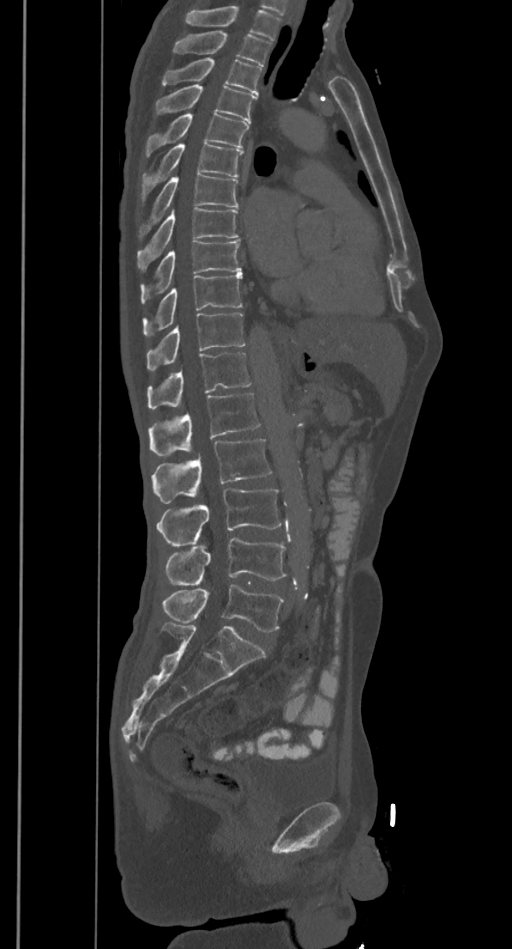 CT spine; sagittal view; bone window
Boxes: x1 y1 x2 y2 (pixel coords, space-separated). Vertebrae that run past the top of the scan are left unlabeled. 16 vertebrae labeled — T2 at 173 30 271 66; T3 at 162 59 261 95; T4 at 155 85 257 122; T5 at 146 113 248 156; T6 at 142 142 242 198; T7 at 139 174 238 237; T8 at 137 208 238 269; T9 at 141 241 241 303; T10 at 143 274 242 335; T11 at 146 312 245 370; T12 at 147 352 252 408; L1 at 149 394 259 456; L2 at 151 438 271 503; L3 at 157 490 282 546; L4 at 165 539 286 585; L5 at 162 585 285 632.